Computed tomography of the spine; sagittal view; 234 mm wide; 234x234 px; scan covers 4 annotated vertebrae
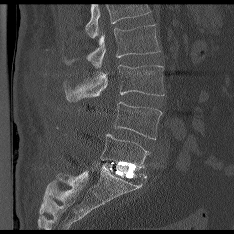
Each row gives a vertebra's box as x1, y1, x2, y2 in pixels: top-left corner, then bottom-right corner.
A vertebra cut off by the top edge of the scan is not labeled and has no box.
| vertebra | x1 | y1 | x2 | y2 |
|---|---|---|---|---|
| L5 | 101 | 134 | 149 | 168 |
| L4 | 114 | 102 | 161 | 139 |
| L3 | 65 | 64 | 164 | 101 |
| L2 | 66 | 25 | 159 | 68 |